Spine computed tomography — Sagittal slice 152/350 — bone window
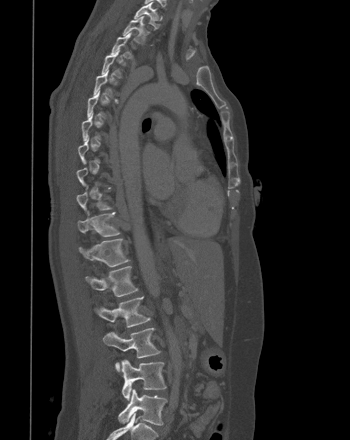

Boxes: x1:y1:x2:y2 in pixels.
Each vertebra is boxed only on the slices from the first to the last where its cross-section reaches a third of its largest, so a slice outside that range leaves it unboxed.
L5: 118:389:166:425
L4: 121:360:166:400
L3: 103:328:160:371
L2: 94:296:150:327
L1: 85:266:138:296
T12: 79:238:129:266
T11: 77:211:119:236
T3: 111:32:132:59
T2: 123:16:149:43
T1: 134:0:159:28